Spine CT. sagittal plane, index 281. bone window
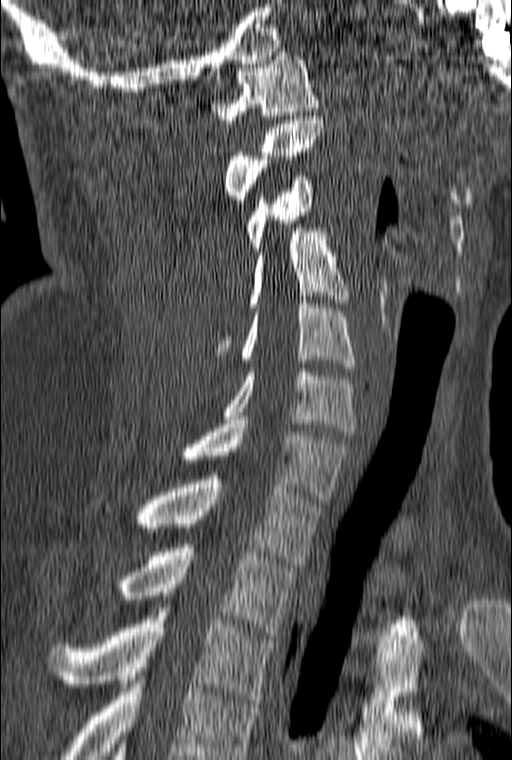

Box edges are left/top/right/bottom in pixels.
In this scan, the topmost labeled vertebra is C1 and the lowest is T3.
| vertebra | x1 | y1 | x2 | y2 |
|---|---|---|---|---|
| C1 | 209 | 52 | 319 | 123 |
| C2 | 223 | 116 | 323 | 207 |
| C3 | 246 | 176 | 314 | 251 |
| C4 | 215 | 228 | 349 | 355 |
| C5 | 241 | 300 | 355 | 371 |
| C6 | 224 | 368 | 355 | 435 |
| C7 | 184 | 420 | 349 | 499 |
| T1 | 105 | 472 | 320 | 563 |
| T2 | 116 | 544 | 295 | 635 |
| T3 | 49 | 604 | 275 | 703 |